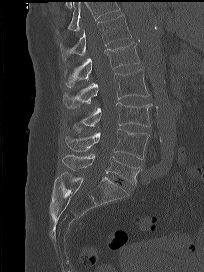

Spine CT · sagittal reformat

Each box is [x1, y1, x2, y2] in pixels: top-left corner, then bottom-right corner.
Vertebrae that run past the top of the scan are left unlabeled.
{"vertebrae":{"T12":[60,14,131,60],"L1":[64,42,139,87],"L2":[63,69,149,108],"L3":[81,102,152,126],"L4":[65,128,149,159],"L5":[62,154,141,185]}}